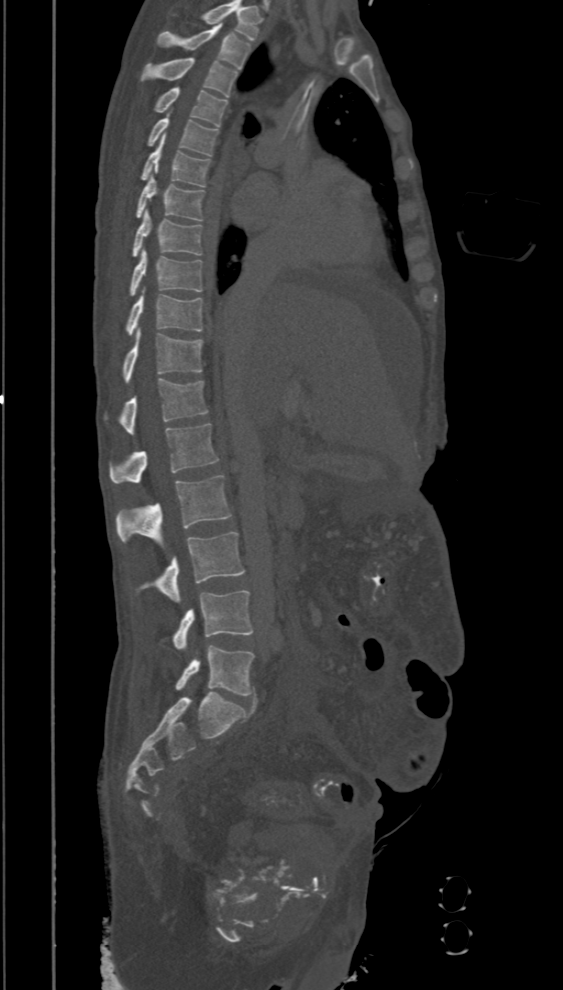
Spine computed tomography · sagittal view

Labels in this scan begin with T2 at the top and end with L5 at the bottom.
<vertebrae><v name="T2" x1="157" y1="23" x2="251" y2="69"/><v name="T3" x1="140" y1="57" x2="238" y2="96"/><v name="T4" x1="154" y1="87" x2="228" y2="126"/><v name="T5" x1="147" y1="113" x2="218" y2="155"/><v name="T6" x1="140" y1="137" x2="210" y2="186"/><v name="T7" x1="135" y1="175" x2="205" y2="221"/><v name="T8" x1="131" y1="210" x2="201" y2="256"/><v name="T9" x1="129" y1="249" x2="202" y2="295"/><v name="T10" x1="125" y1="290" x2="203" y2="335"/><v name="T11" x1="123" y1="329" x2="203" y2="382"/><v name="T12" x1="103" y1="379" x2="208" y2="434"/><v name="L1" x1="110" y1="423" x2="219" y2="484"/><v name="L2" x1="115" y1="475" x2="232" y2="548"/><v name="L3" x1="137" y1="532" x2="244" y2="602"/><v name="L4" x1="173" y1="590" x2="253" y2="649"/><v name="L5" x1="176" y1="645" x2="254" y2="695"/></vertebrae>